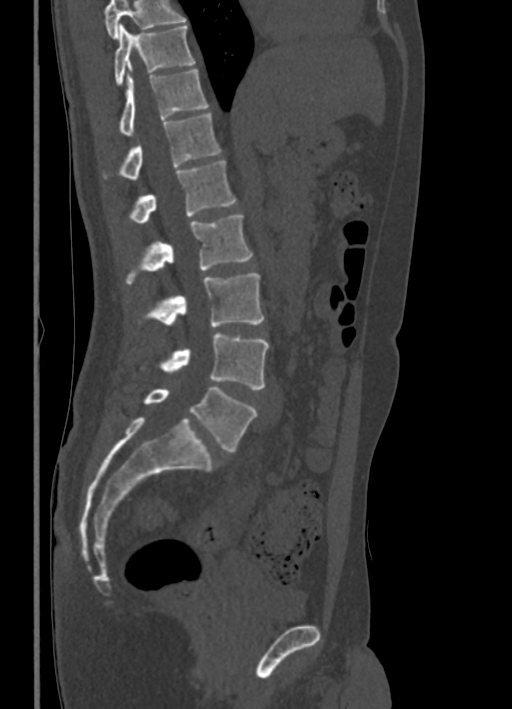

Computed tomography of the spine. sagittal reformat. 512x709 px
Each box given as x1,y1,x2,y2. No box is given to a vertebra that the top edge of the scan cuts off. The labeled vertebrae in this slice are: T10 at x1=114, y1=24, x2=195, y2=86, T11 at x1=119, y1=68, x2=208, y2=134, T12 at x1=102, y1=112, x2=220, y2=178, L1 at x1=128, y1=160, x2=235, y2=223, L2 at x1=125, y1=215, x2=252, y2=284, L3 at x1=138, y1=273, x2=264, y2=327, L4 at x1=142, y1=334, x2=269, y2=389, L5 at x1=143, y1=387, x2=256, y2=451.